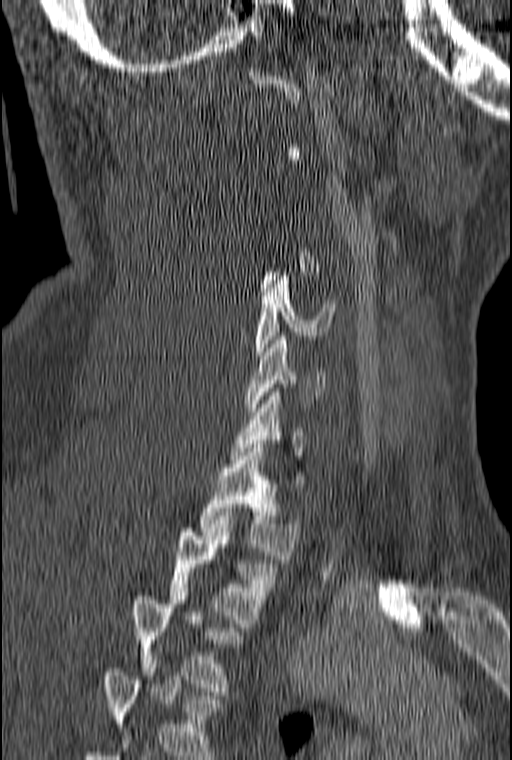
Spine computed tomography · sagittal view · bone window · 512x760 px · image width 160 mm
Boxes below are [x1, y1, x2, y2] in pixels.
A vertebra is boxed only from the first to the last slice where its cross-section is at least a third of its largest; slices outside that range leave it without a box.
This scan's labels start at C1 at the top and end at T3 at the bottom.
{"vertebrae":{"C5":[255,272,335,355],"C6":[246,336,325,411],"T1":[199,444,299,559],"T2":[169,520,275,627],"T3":[132,592,243,691]}}